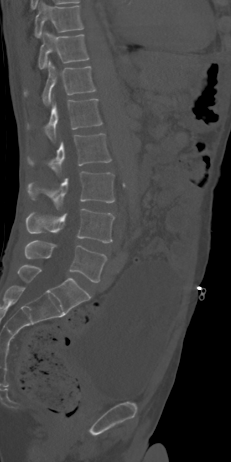 CT. sagittal view. 231 mm across the image

Box edges are left/top/right/bottom in pixels. 8 vertebrae labeled — T10 at left=34, top=1, right=83, bottom=37; T11 at left=38, top=31, right=89, bottom=69; T12 at left=23, top=61, right=95, bottom=105; L1 at left=27, top=99, right=102, bottom=140; L2 at left=28, top=133, right=111, bottom=172; L3 at left=28, top=171, right=114, bottom=208; L4 at left=26, top=208, right=114, bottom=243; L5 at left=25, top=240, right=106, bottom=282.